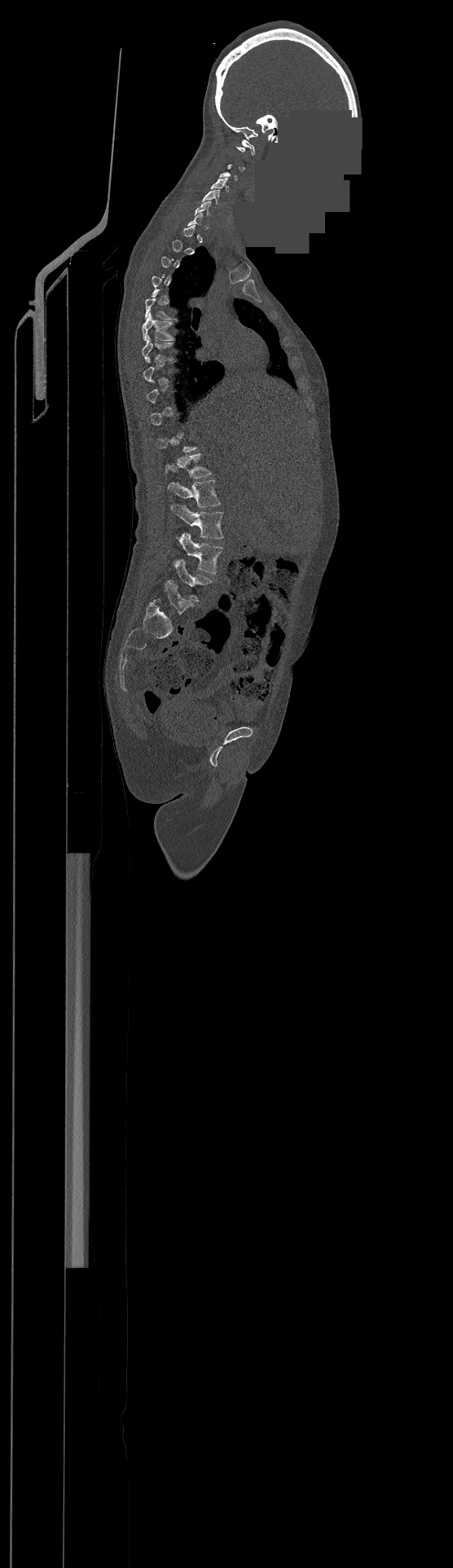 Spine computed tomography. sagittal view. Bone window (WL 400, WW 1800). a region of this slice is masked with a uniform fill
Bounding boxes as [x1, y1, x2, y2] in pixel coordinates.
Not every vertebra on this slice has a box: a vertebra is boxed only from the first to the last slice where its cross-section is at least a third of its largest, and this slice is outside that range for at least one of them.
The highest labeled vertebra in this scan is C1; the lowest is L4.
Vertebra bounding boxes:
- L4: [174, 559, 211, 600]
- L3: [176, 533, 222, 573]
- L2: [172, 505, 223, 538]
- L1: [167, 480, 220, 507]
- T12: [165, 453, 210, 478]
- T6: [142, 315, 172, 339]
- C6: [195, 201, 211, 215]
- C5: [201, 190, 219, 204]
- C4: [211, 179, 228, 191]
- C1: [236, 139, 255, 155]